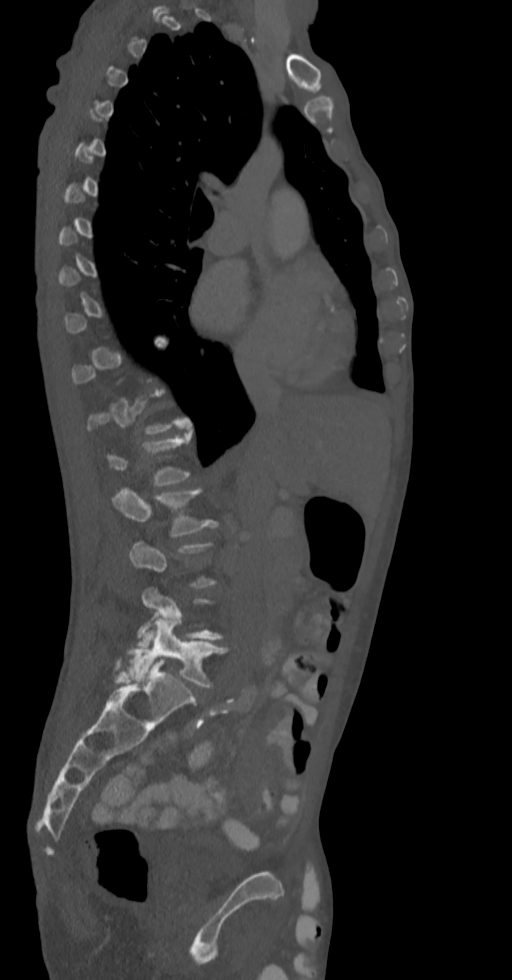 Spine computed tomography · sagittal reformat · Bone window (WL 400, WW 1800) · 512x980 px · image width 336 mm
A vertebra is boxed only from the first to the last slice where its cross-section is at least a third of its largest; slices outside that range leave it without a box.
<vertebrae><v name="L1" x1="103" y1="430" x2="191" y2="485"/><v name="L2" x1="111" y1="486" x2="218" y2="537"/><v name="L4" x1="137" y1="587" x2="223" y2="647"/><v name="L5" x1="117" y1="619" x2="227" y2="688"/></vertebrae>